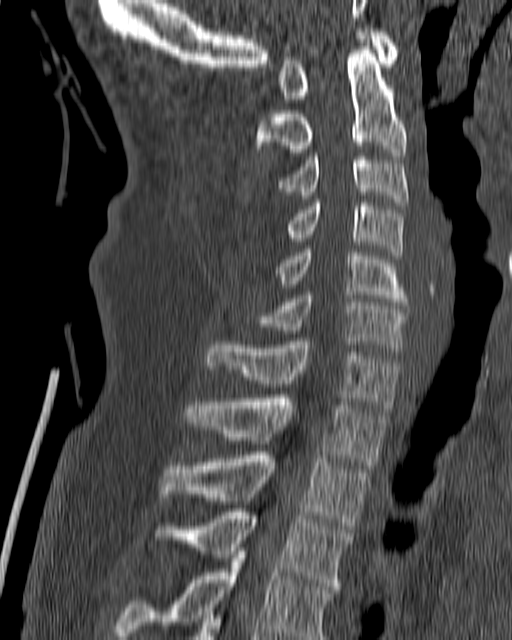 Computed tomography of the spine. sagittal view. Bone window (WL 400, WW 1800)
<vertebrae><v name="C1" x1="279" y1="28" x2="398" y2="102"/><v name="C2" x1="254" y1="46" x2="407" y2="155"/><v name="C3" x1="277" y1="153" x2="409" y2="205"/><v name="C4" x1="285" y1="199" x2="404" y2="259"/><v name="C5" x1="274" y1="249" x2="408" y2="305"/><v name="C6" x1="240" y1="292" x2="409" y2="347"/><v name="C7" x1="206" y1="341" x2="401" y2="411"/><v name="T1" x1="183" y1="395" x2="387" y2="465"/><v name="T2" x1="160" y1="452" x2="370" y2="529"/><v name="T3" x1="155" y1="508" x2="353" y2="589"/><v name="T4" x1="113" y1="548" x2="333" y2="639"/></vertebrae>